CT — Sagittal slice 16/61 — W/L 1800/400 HU — image width 195 mm
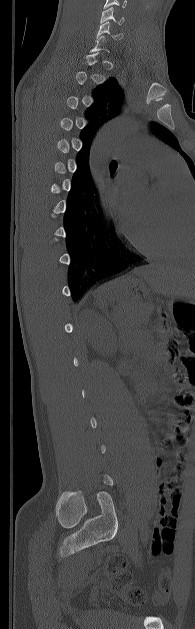 Boxes are given in columns x1, y1, x2, y2, the pixel coordinates of their top-left and bottom-right corners.
Not every vertebra on this slice has a box: a vertebra is boxed only from the first to the last slice where its cross-section is at least a third of its largest, and this slice is outside that range for at least one of them.
| vertebra | x1 | y1 | x2 | y2 |
|---|---|---|---|---|
| C6 | 96 | 21 | 122 | 39 |
| C5 | 100 | 6 | 124 | 25 |